Spine CT — Sagittal slice 263/512 — 17 vertebrae labeled in this scan
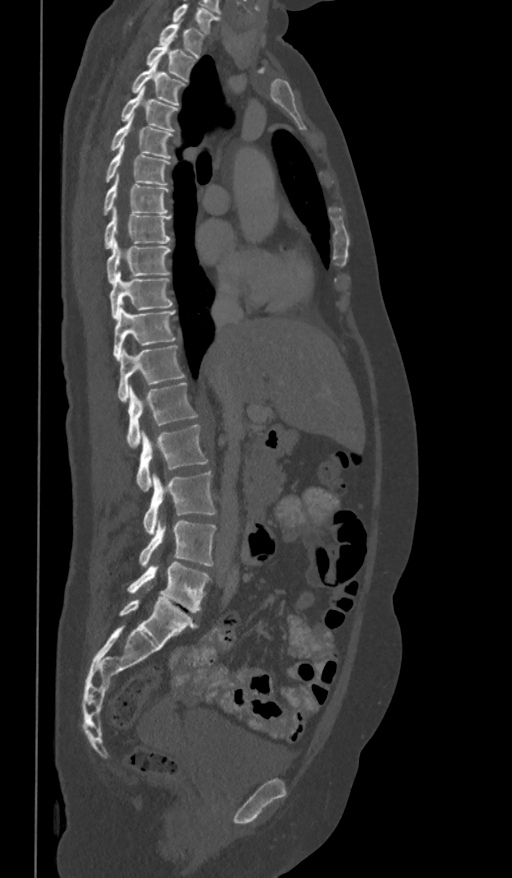

Boxes are (x1, y1, x2, y2) in pixels.
This scan's labels start at T1 at the top and end at L5 at the bottom.
L5: (127, 562, 210, 612)
L4: (139, 520, 216, 566)
L3: (143, 471, 216, 534)
L2: (136, 425, 207, 490)
L1: (127, 382, 197, 447)
T12: (118, 345, 185, 401)
T11: (113, 304, 177, 360)
T10: (109, 272, 172, 318)
T9: (106, 239, 170, 284)
T8: (103, 209, 170, 249)
T7: (102, 176, 169, 215)
T6: (105, 143, 172, 185)
T5: (110, 116, 173, 159)
T4: (121, 87, 179, 132)
T3: (130, 60, 186, 105)
T2: (146, 43, 196, 81)
T1: (159, 23, 205, 56)